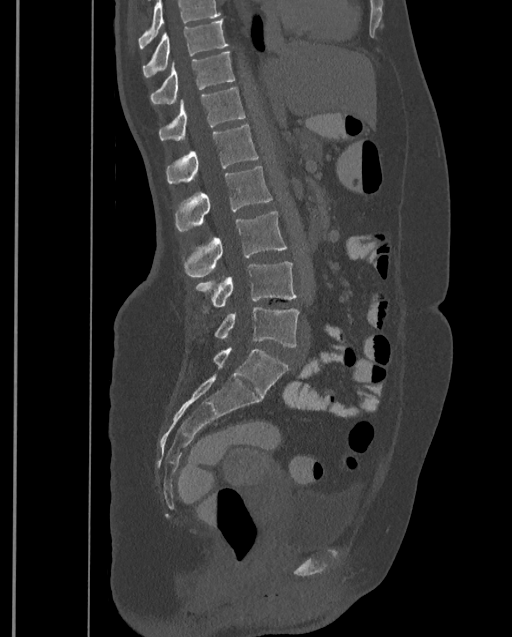 Computed tomography of the spine. sagittal view. bone-window reconstruction. image 399 mm wide. 512x637 px
No box is given to a vertebra that the top edge of the scan cuts off.
This scan's labels start at T9 at the top and end at L4 at the bottom.
<vertebrae><v name="T9" x1="142" y1="20" x2="227" y2="78"/><v name="T10" x1="150" y1="51" x2="234" y2="104"/><v name="T11" x1="159" y1="87" x2="245" y2="142"/><v name="T12" x1="165" y1="125" x2="258" y2="184"/><v name="L1" x1="176" y1="166" x2="272" y2="231"/><v name="L2" x1="185" y1="211" x2="286" y2="277"/><v name="L3" x1="196" y1="262" x2="297" y2="312"/><v name="L4" x1="214" y1="306" x2="299" y2="347"/></vertebrae>